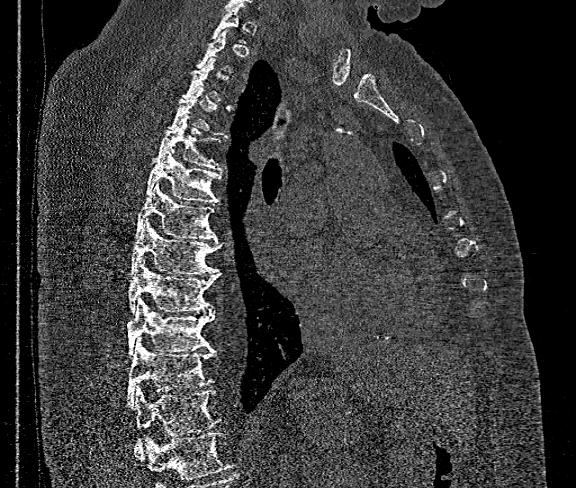

Spine CT. sagittal view. the image spans 360 mm across. bone window
Boxes below are [x1, y1, x2, y2] in pixels.
A vertebra is boxed only from the first to the last slice where its cross-section is at least a third of its largest; slices outside that range leave it without a box.
No box is given to a vertebra that the bottom edge of the scan cuts off.
{"vertebrae":{"T5":[156,115,221,171],"T6":[145,149,221,204],"T7":[136,182,216,239],"T8":[130,217,219,275],"T9":[128,258,221,313],"T10":[128,297,215,356],"T11":[128,340,216,406],"T12":[134,388,219,457]}}